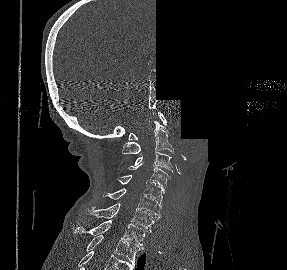
Spine CT · sagittal view · Bone window (WL 400, WW 1800) · 287x270 px · a region is blanked to uniform black, ending in a straight edge

Bounding boxes as [x1, y1, x2, y2] in pixel coordinates.
Vertebra bounding boxes:
- C1: [128, 112, 166, 140]
- C2: [122, 121, 173, 153]
- C3: [134, 150, 173, 173]
- C4: [127, 163, 170, 189]
- C5: [116, 175, 164, 205]
- C6: [103, 188, 161, 218]
- C7: [84, 203, 156, 231]
- T1: [74, 220, 146, 245]
- T2: [86, 235, 143, 263]